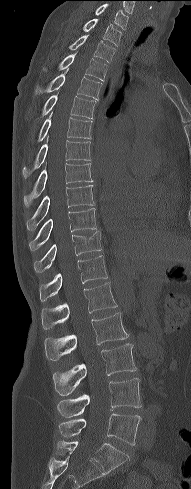

Spine CT. sagittal reformat. 191x489 px. the image spans 191 mm across. Boxes: x1:y1:x2:y2 in pixels. Vertebrae labeled: C7 at 95:4:128:29, T1 at 83:19:122:46, T2 at 69:35:115:62, T3 at 43:54:107:80, T4 at 34:74:102:99, T5 at 42:93:96:118, T6 at 39:112:92:140, T7 at 22:136:90:178, T8 at 23:162:92:206, T9 at 26:185:94:230, T10 at 28:208:96:250, T11 at 34:230:101:272, T12 at 39:255:107:300, L1 at 41:282:117:328, L2 at 45:312:128:360, L3 at 53:343:136:395, L4 at 57:378:141:417, L5 at 59:413:140:445.